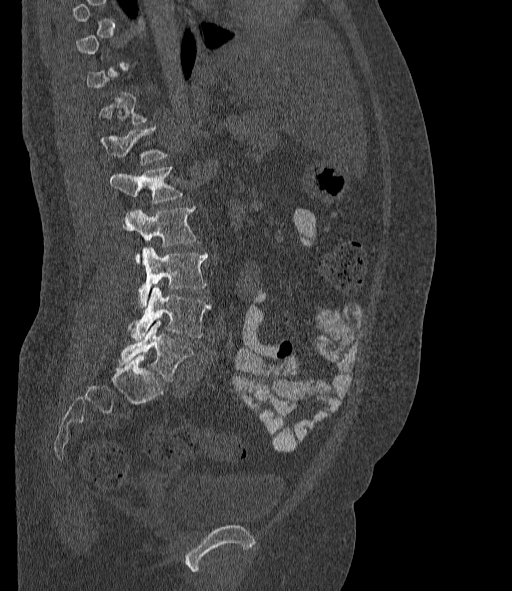 Spine computed tomography. sagittal view. the image is 377 mm wide. bone-window reconstruction
Not every vertebra on this slice has a box: a vertebra is boxed only from the first to the last slice where its cross-section is at least a third of its largest, and this slice is outside that range for at least one of them.
These labels give the spine a sixth lumbar vertebra, L6, below L5.
<vertebrae><v name="L1" x1="100" y1="128" x2="166" y2="163"/><v name="L2" x1="110" y1="167" x2="182" y2="203"/><v name="L3" x1="123" y1="206" x2="196" y2="260"/><v name="L4" x1="138" y1="247" x2="207" y2="307"/><v name="L5" x1="127" y1="287" x2="211" y2="340"/><v name="L6" x1="118" y1="321" x2="193" y2="381"/></vertebrae>